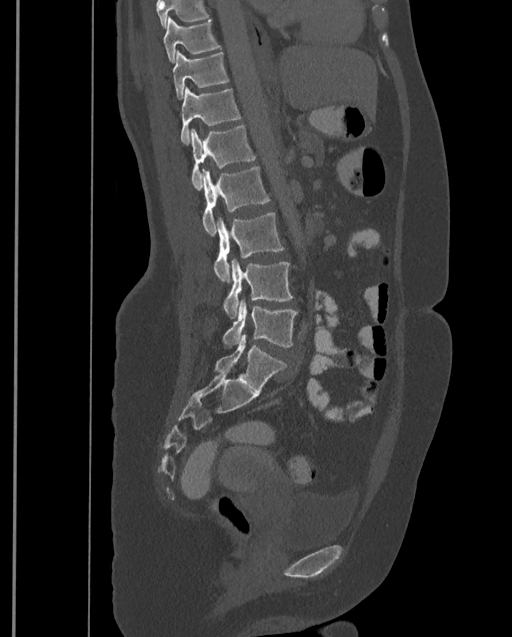
CT spine. sagittal view. W/L 1800/400 HU. 512x637 px
Box edges are left/top/right/bottom in pixels.
No box is given to a vertebra that the top edge of the scan cuts off.
This scan's labels start at T9 at the top and end at L4 at the bottom.
T9: left=163, top=16, right=221, bottom=63
T10: left=172, top=50, right=229, bottom=99
T11: left=181, top=87, right=240, bottom=146
T12: left=190, top=125, right=255, bottom=190
L1: left=201, top=166, right=270, bottom=236
L2: left=214, top=212, right=284, bottom=283
L3: left=223, top=259, right=293, bottom=319
L4: left=223, top=299, right=297, bottom=348